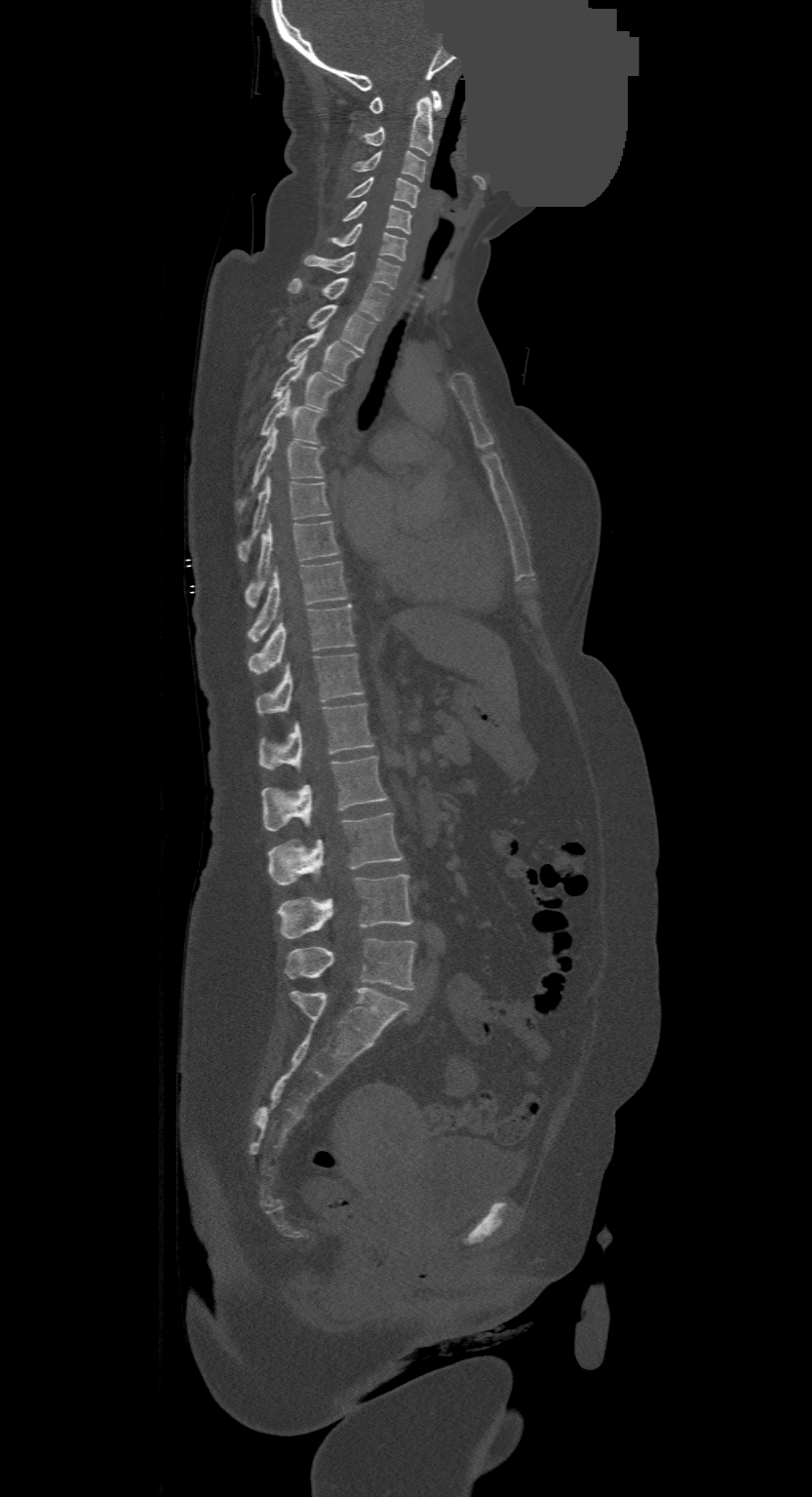

CT spine. sagittal view. 812x1497 px. part of the image has been replaced by a constant value
Each row gives a vertebra's box as x1, y1, x2, y2 in pixels: top-left corner, then bottom-right corner.
In this scan, the topmost labeled vertebra is C1 and the lowest is L4.
| vertebra | x1 | y1 | x2 | y2 |
|---|---|---|---|---|
| C1 | 369 | 90 | 442 | 113 |
| C2 | 364 | 97 | 432 | 155 |
| C3 | 352 | 150 | 426 | 181 |
| C4 | 347 | 177 | 419 | 208 |
| C5 | 343 | 200 | 411 | 233 |
| C6 | 331 | 223 | 406 | 259 |
| C7 | 303 | 251 | 401 | 289 |
| T1 | 288 | 277 | 389 | 320 |
| T2 | 279 | 304 | 376 | 352 |
| T3 | 286 | 329 | 359 | 379 |
| T4 | 271 | 358 | 342 | 409 |
| T5 | 260 | 390 | 325 | 443 |
| T6 | 235 | 428 | 325 | 515 |
| T7 | 237 | 477 | 330 | 562 |
| T8 | 246 | 521 | 340 | 608 |
| T9 | 250 | 561 | 348 | 642 |
| T10 | 250 | 605 | 355 | 674 |
| T11 | 257 | 653 | 363 | 715 |
| T12 | 258 | 702 | 375 | 769 |
| L1 | 262 | 756 | 388 | 830 |
| L2 | 268 | 813 | 402 | 886 |
| L3 | 278 | 875 | 413 | 939 |
| L4 | 284 | 938 | 416 | 989 |